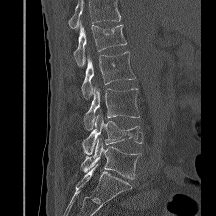 Spine CT. sagittal view. Boxes: x1:y1:x2:y2 in pixels.
A vertebra cut off by the top edge of the scan is not labeled and has no box.
L5: 80:139:140:179
L4: 82:114:143:154
L3: 84:86:139:130
L2: 81:51:135:98
L1: 73:22:126:66